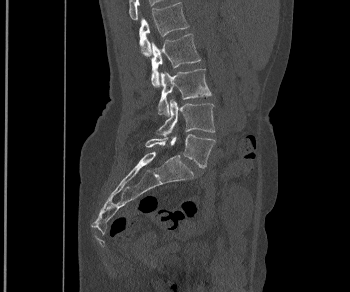 CT spine; sagittal reformat; bone-window reconstruction; 350x292 px; image width 350 mm
Boxes are (x1, y1, x2, y2) in pixels.
Vertebra bounding boxes:
- L5: (145, 134, 215, 168)
- L4: (158, 99, 215, 136)
- L3: (158, 69, 211, 115)
- L2: (150, 34, 200, 87)
- L1: (139, 2, 189, 56)